CT; sagittal view; 526x1214 px; part of the image has been replaced by a constant value
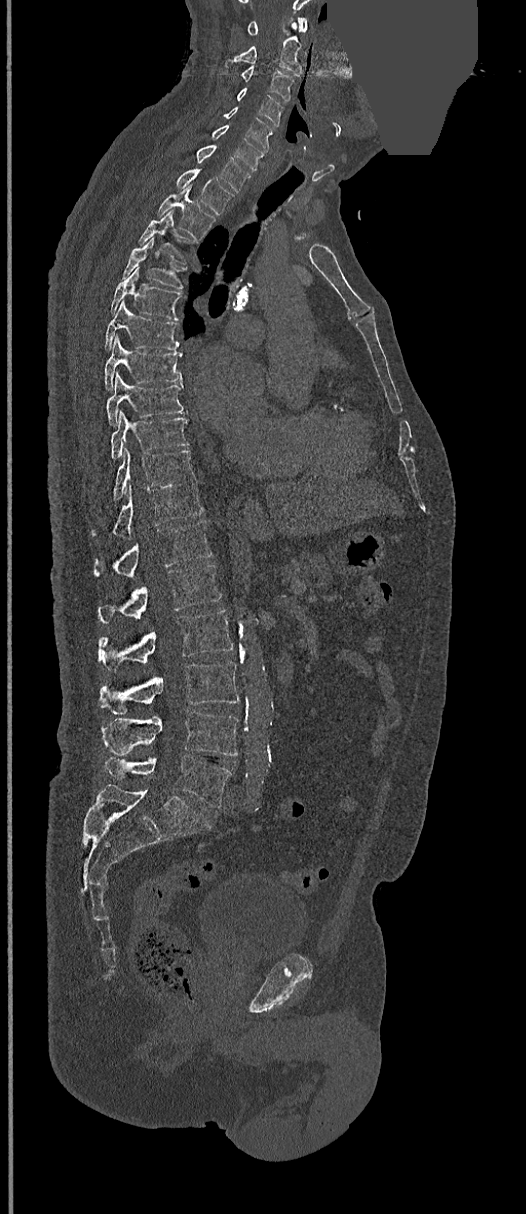 Box edges are left/top/right/bottom in pixels. Vertebrae labeled: L5 at left=104, top=756, right=232, bottom=808, L4 at left=102, top=711, right=237, bottom=755, L3 at left=100, top=663, right=239, bottom=715, L2 at left=99, top=610, right=233, bottom=670, L1 at left=99, top=564, right=222, bottom=623, T12 at left=94, top=521, right=212, bottom=576, T11 at left=91, top=483, right=203, bottom=538, T10 at left=113, top=447, right=194, bottom=498, T9 at left=111, top=411, right=189, bottom=459, T8 at left=107, top=373, right=186, bottom=425, T7 at left=104, top=337, right=182, bottom=389, T6 at left=104, top=301, right=180, bottom=350, T5 at left=111, top=266, right=182, bottom=320, T4 at left=122, top=237, right=183, bottom=289, T3 at left=140, top=209, right=192, bottom=263, T2 at left=157, top=184, right=215, bottom=239, T1 at left=176, top=169, right=232, bottom=213, C7 at left=197, top=144, right=251, bottom=192, C6 at left=212, top=124, right=265, bottom=170, C5 at left=224, top=107, right=273, bottom=150, C4 at left=237, top=87, right=284, bottom=126, C3 at left=241, top=66, right=293, bottom=100, C2 at left=227, top=22, right=303, bottom=75, C1 at left=246, top=18, right=307, bottom=35.